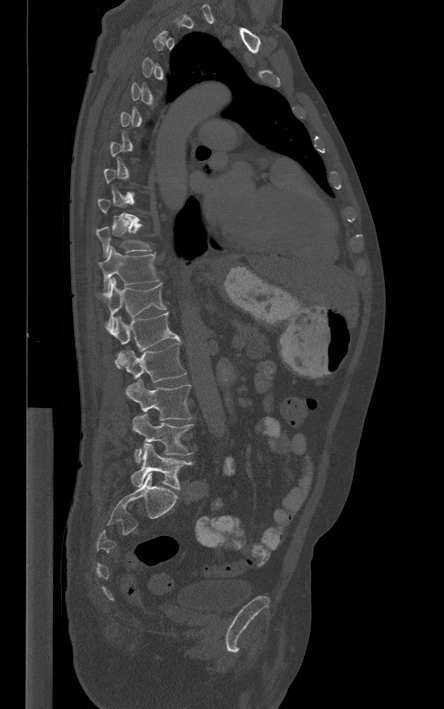

CT, spine; sagittal view; Bone window (WL 400, WW 1800); 444x709 px
A vertebra is boxed only from the first to the last slice where its cross-section is at least a third of its largest; slices outside that range leave it without a box.
<vertebrae><v name="T10" x1="97" y1="223" x2="151" y2="257"/><v name="T11" x1="99" y1="246" x2="159" y2="291"/><v name="T12" x1="98" y1="277" x2="166" y2="334"/><v name="L1" x1="114" y1="312" x2="180" y2="368"/><v name="L2" x1="117" y1="343" x2="186" y2="382"/><v name="L3" x1="126" y1="379" x2="191" y2="420"/><v name="L4" x1="132" y1="414" x2="193" y2="463"/><v name="L5" x1="131" y1="443" x2="192" y2="489"/></vertebrae>